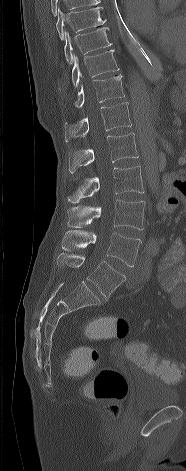
Spine computed tomography · sagittal view · 186 mm image width
Each vertebra maps to its box as [x1, y1, x2, y2], the pixel coordinates of its top-left and bottom-right corners.
{"vertebrae":{"L5":[57,253,125,299],"L4":[62,230,141,266],"L3":[67,199,144,229],"L2":[68,166,144,203],"L1":[69,133,138,173],"T12":[64,102,131,142],"T11":[75,74,124,107],"T10":[72,49,119,86],"T9":[64,27,112,65],"T8":[56,7,106,39]}}